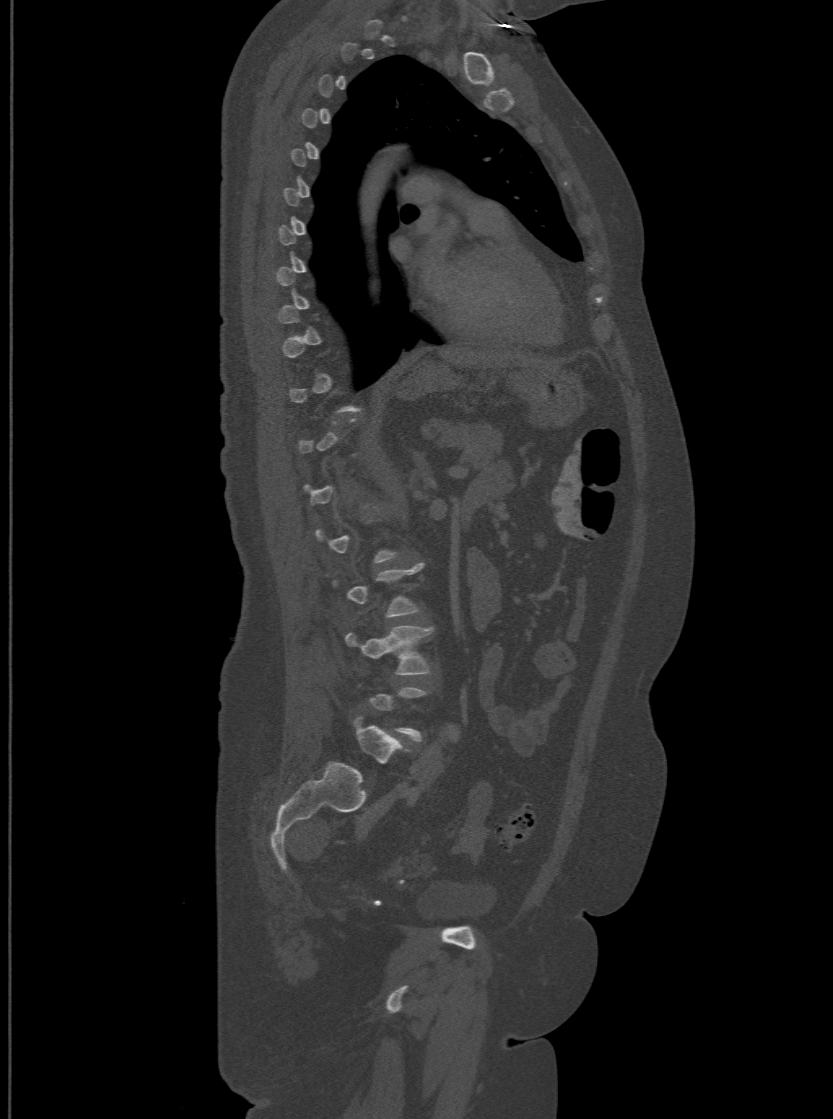 CT spine; sagittal view; 833x1119 px
A vertebra gets a box only on the slices from the first to the last where its cross-section is at least a third of its largest; on a slice outside that range it gets none.
The labels name a sixth lumbar vertebra for this spine: L6, after L5.
<vertebrae><v name="L4" x1="345" y1="626" x2="432" y2="675"/><v name="L6" x1="353" y1="718" x2="404" y2="763"/></vertebrae>